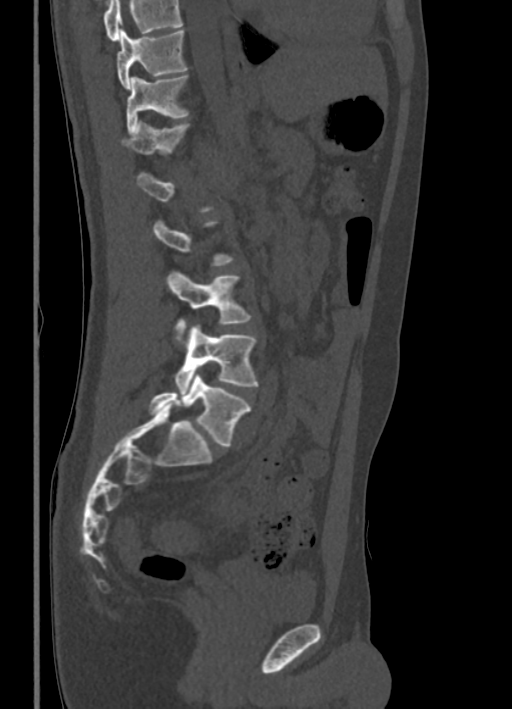

CT spine · sagittal view · bone-window reconstruction · 512x709 px · the image spans 336 mm across
A vertebra gets a box only on the slices from the first to the last where its cross-section is at least a third of its largest; on a slice outside that range it gets none.
A vertebra cut off by the top edge of the scan is not labeled and has no box.
<vertebrae><v name="T10" x1="117" y1="29" x2="188" y2="89"/><v name="T11" x1="126" y1="74" x2="189" y2="133"/><v name="T12" x1="122" y1="121" x2="191" y2="153"/><v name="L3" x1="167" y1="271" x2="252" y2="343"/><v name="L4" x1="174" y1="324" x2="258" y2="395"/><v name="L5" x1="149" y1="374" x2="250" y2="447"/></vertebrae>